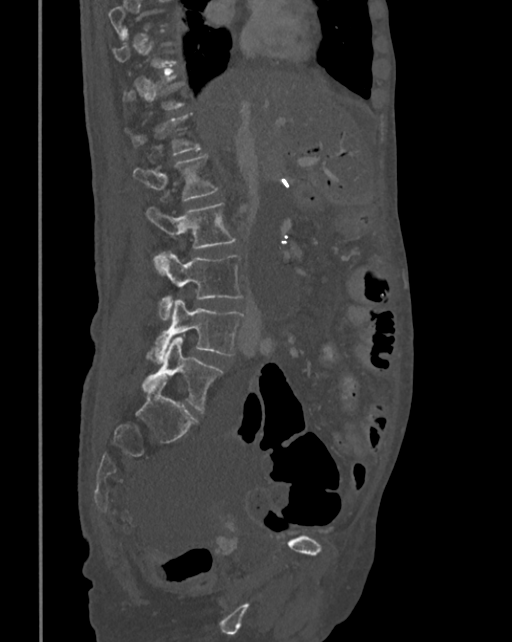

CT · image width 342 mm · sagittal view · 512x642 px
Each box given as x1,y1,x2,y2. A vertebra is boxed only from the first to the last slice where its cross-section is at least a third of its largest; slices outside that range leave it without a box. The labeled vertebrae in this slice are: T12 at x1=124, y1=113, x2=201, y2=154, L1 at x1=133, y1=155, x2=219, y2=200, L2 at x1=146, y1=202, x2=235, y2=264, L3 at x1=154, y1=252, x2=243, y2=320, L4 at x1=146, y1=299, x2=243, y2=364, L5 at x1=143, y1=337, x2=223, y2=410.